Spine computed tomography · Sagittal slice 240/512
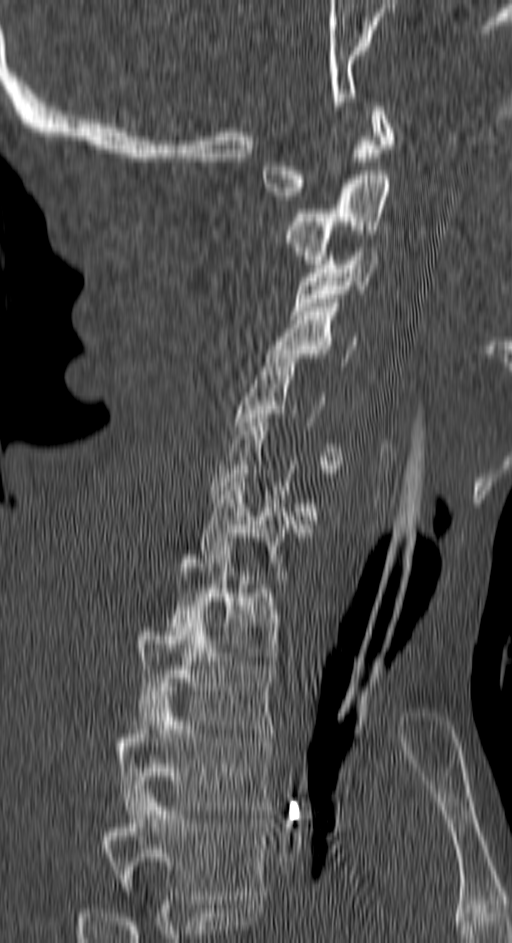

Bounding boxes as [x1, y1, x2, y2] in pixel coordinates.
A vertebra is boxed only from the first to the last slice where its cross-section is at least a third of its largest; slices outside that range leave it without a box.
The highest labeled vertebra in this scan is C1; the lowest is T4.
Vertebra bounding boxes:
- C1: [264, 102, 393, 200]
- C2: [285, 171, 389, 264]
- C3: [291, 247, 376, 319]
- C4: [266, 303, 355, 366]
- C5: [235, 354, 342, 473]
- C7: [199, 474, 308, 584]
- T1: [168, 542, 277, 660]
- T2: [134, 614, 275, 733]
- T3: [114, 691, 270, 814]
- T4: [100, 789, 266, 904]